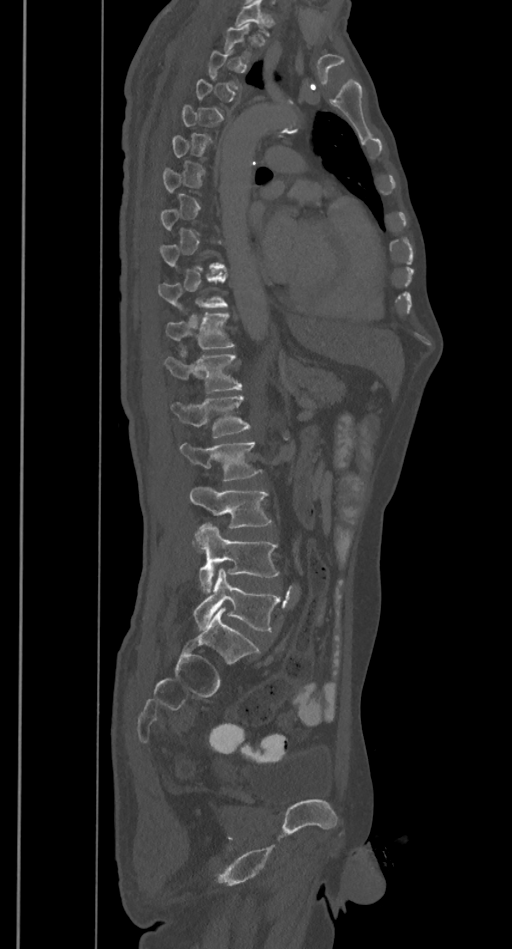

Spine computed tomography — sagittal view — 385 mm image width — 512x949 px
Box edges are left/top/right/bottom in pixels.
A vertebra is boxed only from the first to the last slice where its cross-section is at least a third of its largest; slices outside that range leave it without a box.
Vertebra bounding boxes:
- T11: left=166, top=314, right=234, bottom=348
- T12: left=165, top=354, right=241, bottom=393
- L1: left=171, top=396, right=249, bottom=437
- L2: left=179, top=442, right=258, bottom=481
- L3: left=190, top=487, right=271, bottom=528
- L4: left=193, top=523, right=278, bottom=593
- L5: left=194, top=567, right=281, bottom=632